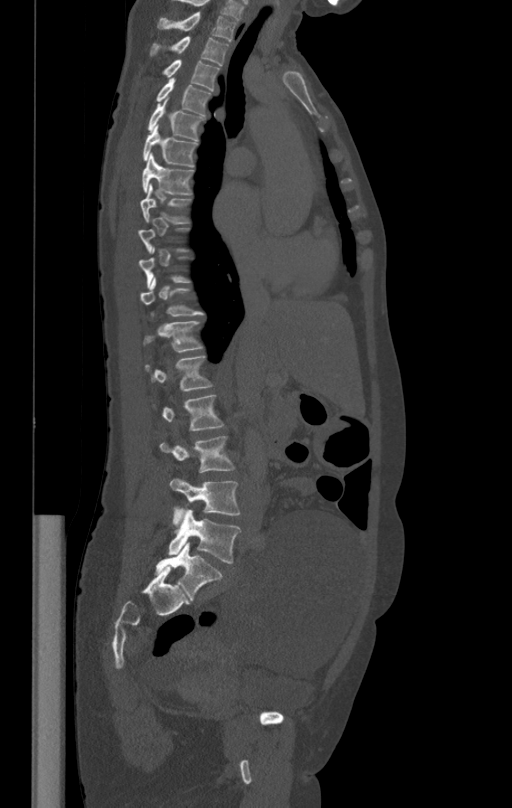 CT · sagittal reformat · 512x808 px · the image is 412 mm wide
Not every vertebra on this slice has a box: a vertebra is boxed only from the first to the last slice where its cross-section is at least a third of its largest, and this slice is outside that range for at least one of them.
<vertebrae><v name="L5" x1="168" y1="509" x2="240" y2="563"/><v name="L4" x1="170" y1="479" x2="240" y2="524"/><v name="L3" x1="160" y1="436" x2="234" y2="472"/><v name="L2" x1="163" y1="395" x2="224" y2="430"/><v name="L1" x1="145" y1="356" x2="211" y2="390"/><v name="T12" x1="144" y1="320" x2="201" y2="351"/><v name="T11" x1="139" y1="278" x2="203" y2="316"/><v name="T8" x1="140" y1="183" x2="190" y2="224"/><v name="T7" x1="142" y1="154" x2="193" y2="194"/><v name="T6" x1="143" y1="128" x2="198" y2="167"/><v name="T5" x1="148" y1="98" x2="204" y2="140"/><v name="T4" x1="156" y1="78" x2="210" y2="115"/><v name="T3" x1="163" y1="59" x2="219" y2="91"/><v name="T2" x1="150" y1="36" x2="229" y2="65"/><v name="T1" x1="158" y1="12" x2="236" y2="42"/></vertebrae>